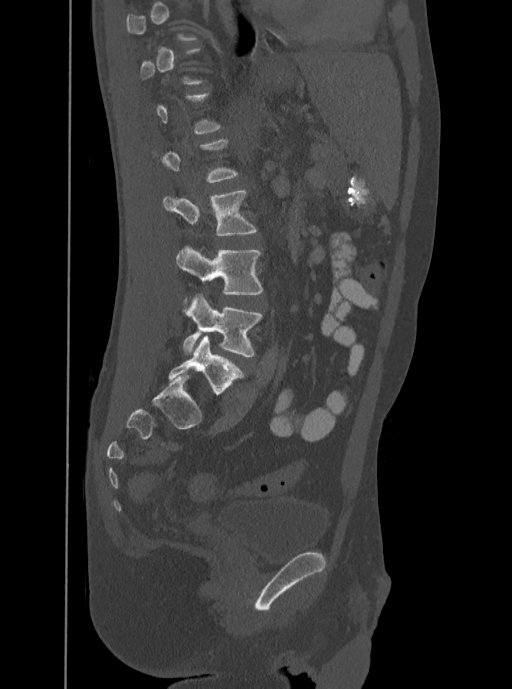 CT spine · sagittal reformat · bone window · 512x689 px. Box edges are left/top/right/bottom in pixels.
Not every vertebra on this slice has a box: a vertebra is boxed only from the first to the last slice where its cross-section is at least a third of its largest, and this slice is outside that range for at least one of them.
L3: left=162, top=190, right=256, bottom=236
L4: left=175, top=245, right=264, bottom=294
L5: left=183, top=294, right=262, bottom=357